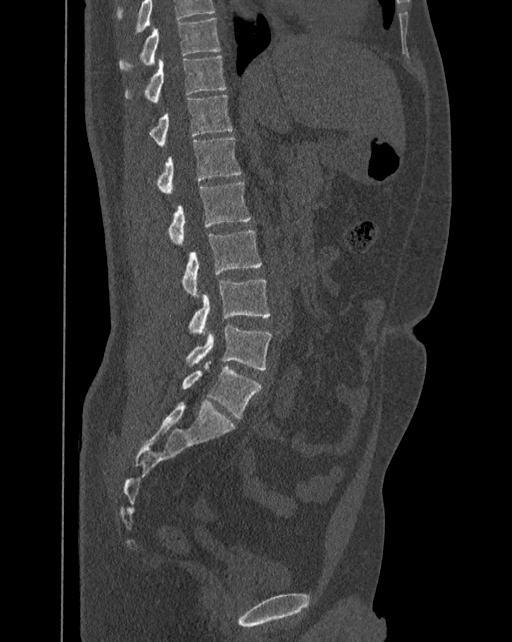

Spine CT · sagittal view · the image is 392 mm wide · Bone window (WL 400, WW 1800) · 512x642 px
Bounding boxes as [x1, y1, x2, y2] in pixel coordinates.
Labels in this scan begin with T10 at the top and end with L6 at the bottom.
In these labels the spine has an L6, a sixth lumbar vertebra below L5.
T10: [119, 18, 221, 72]
T11: [124, 55, 226, 102]
T12: [149, 94, 233, 146]
L1: [154, 138, 240, 193]
L2: [167, 182, 251, 244]
L3: [181, 230, 261, 296]
L4: [188, 279, 269, 336]
L5: [185, 324, 272, 369]
L6: [181, 361, 261, 419]